Computed tomography of the spine — sagittal view — image 384 mm wide — 512x845 px
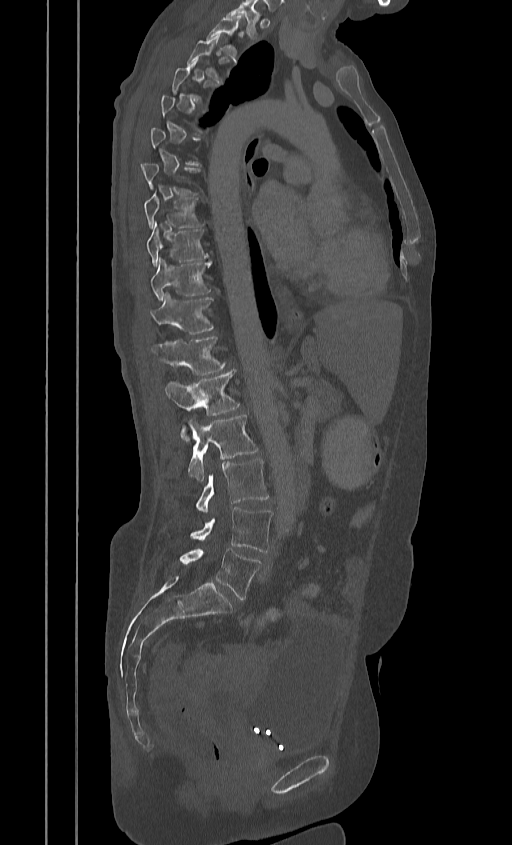
Boxes: x1:y1:x2:y2 in pixels.
Each vertebra is boxed only on the slices from the first to the last where its cross-section reaches a third of its largest, so a slice outside that range leaves it unboxed.
The highest labeled vertebra in this scan is T2; the lowest is L5.
L5: 180:549:260:599
L4: 190:507:272:552
L3: 196:459:268:514
L2: 186:415:257:482
L1: 165:371:239:415
T12: 150:337:224:375
T11: 150:293:212:334
T10: 149:259:211:299
T9: 145:224:208:266
T8: 142:193:201:227
T3: 188:37:219:79
T2: 206:17:239:52